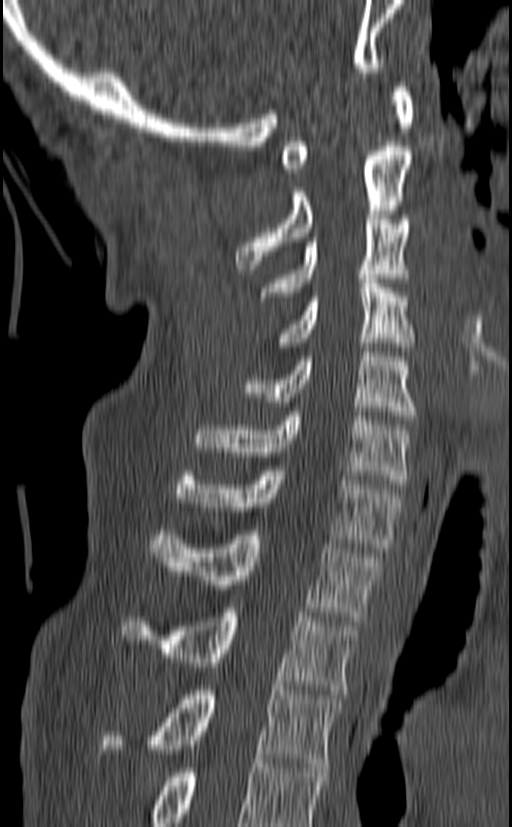

Spine computed tomography. sagittal view. 512x827 px

Each box is [x1, y1, x2, y2] in pixels: top-left corner, then bottom-right corner.
In this scan, the topmost labeled vertebra is C1 and the lowest is T3.
{"vertebrae":{"C1":[281,82,414,173],"C2":[235,146,414,269],"C3":[259,215,410,301],"C4":[279,274,414,346],"C5":[244,347,417,420],"C6":[192,411,410,484],"C7":[173,466,403,552],"T1":[150,530,381,621],"T2":[120,608,359,694],"T3":[103,686,341,767]}}